Spine CT; sagittal reformat; bone-window reconstruction
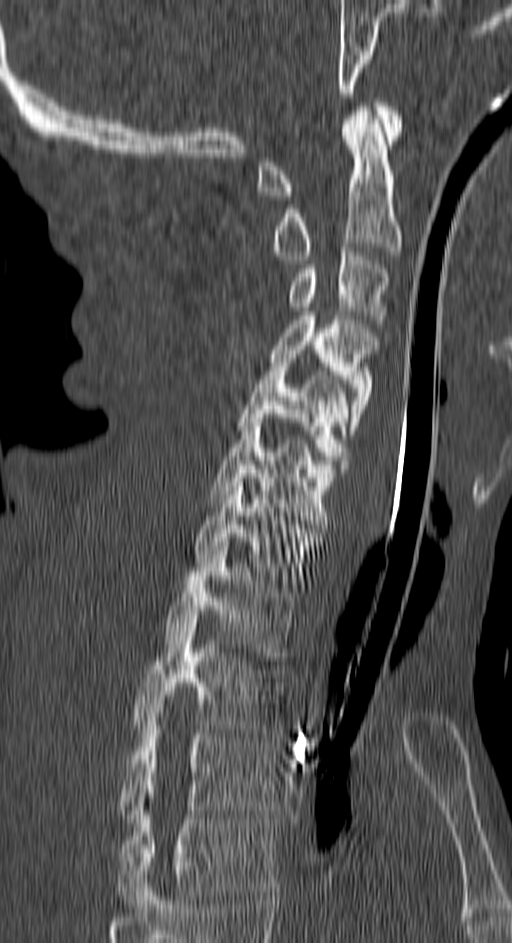
Boxes are given in columns x1, y1, x2, y2, the pixel coordinates of their top-left and bottom-right corners.
| vertebra | x1 | y1 | x2 | y2 |
|---|---|---|---|---|
| C1 | 257 | 102 | 403 | 200 |
| C2 | 271 | 107 | 403 | 259 |
| C3 | 288 | 247 | 389 | 323 |
| C4 | 271 | 311 | 376 | 434 |
| C5 | 236 | 363 | 349 | 468 |
| C6 | 209 | 418 | 345 | 528 |
| C7 | 196 | 474 | 321 | 588 |
| T1 | 165 | 546 | 296 | 660 |
| T2 | 131 | 619 | 284 | 733 |
| T3 | 121 | 717 | 277 | 822 |
| T4 | 117 | 798 | 277 | 908 |